CT spine; 165 mm wide; sagittal plane, index 102; bone-window reconstruction; scan covers 16 annotated vertebrae
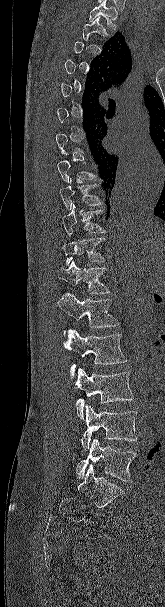

Each vertebra is boxed only on the slices from the first to the last where its cross-section reaches a third of its largest, so a slice outside that range leaves it unboxed.
No box is given to a vertebra that the top edge of the scan cuts off.
<vertebrae><v name="T2" x1="82" y1="17" x2="108" y2="40"/><v name="T9" x1="59" y1="178" x2="104" y2="210"/><v name="T10" x1="62" y1="204" x2="107" y2="236"/><v name="T11" x1="61" y1="238" x2="105" y2="265"/><v name="T12" x1="58" y1="261" x2="110" y2="294"/><v name="L1" x1="58" y1="293" x2="119" y2="336"/><v name="L2" x1="63" y1="329" x2="127" y2="378"/><v name="L3" x1="74" y1="368" x2="133" y2="419"/><v name="L4" x1="81" y1="405" x2="137" y2="450"/><v name="L5" x1="76" y1="439" x2="137" y2="482"/></vertebrae>